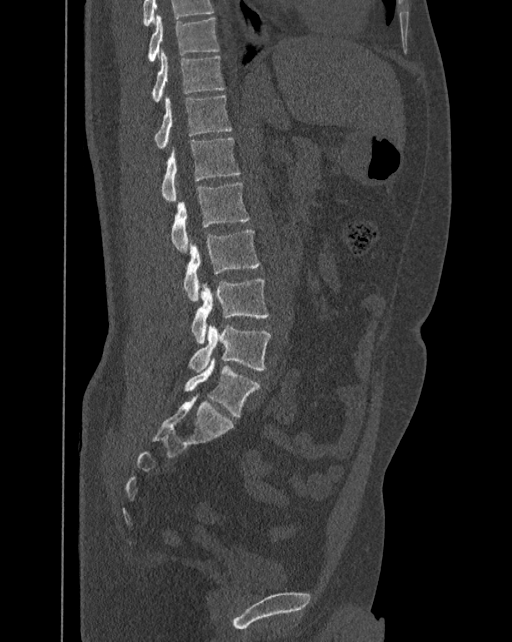
Computed tomography of the spine; sagittal reformat; bone-window reconstruction
In the table, x1 and y1 are a box's top-left corner and x2 and y2 its bottom-right corner, in pixels.
This scan's labels start at T10 at the top and end at L6 at the bottom.
These labels give the spine a sixth lumbar vertebra, L6, below L5.
| vertebra | x1 | y1 | x2 | y2 |
|---|---|---|---|---|
| L6 | 184 | 359 | 260 | 417 |
| L5 | 188 | 324 | 271 | 372 |
| L4 | 191 | 279 | 268 | 343 |
| L3 | 183 | 229 | 260 | 301 |
| L2 | 171 | 182 | 250 | 251 |
| L1 | 160 | 138 | 240 | 201 |
| T12 | 154 | 94 | 231 | 148 |
| T11 | 151 | 49 | 223 | 101 |
| T10 | 147 | 14 | 218 | 61 |